CT spine · Sagittal slice 304/512 · image width 140 mm · scan covers 10 annotated vertebrae · a uniform gray block covers part of the image
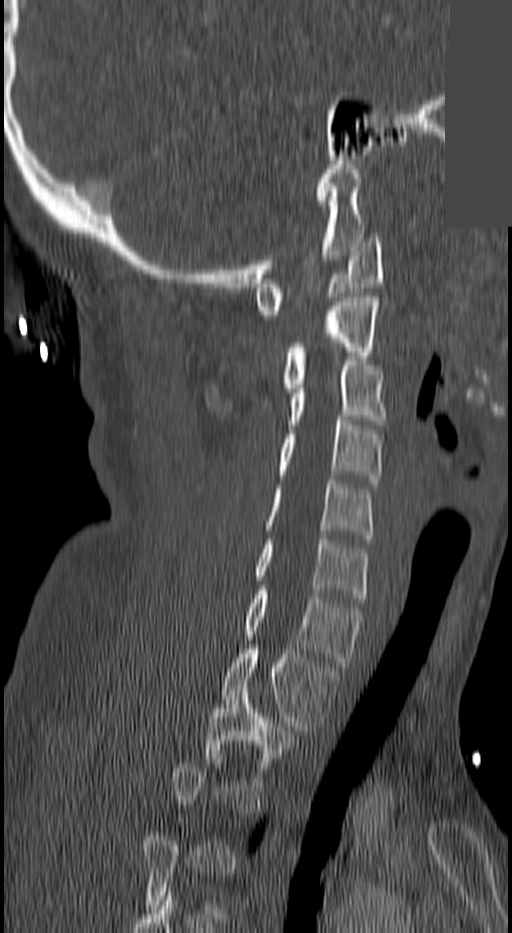 In the table, x1 and y1 are a box's top-left corner and x2 and y2 its bottom-right corner, in pixels.
A vertebra gets a box only on the slices from the first to the last where its cross-section is at least a third of its largest; on a slice outside that range it gets none.
| vertebra | x1 | y1 | x2 | y2 |
|---|---|---|---|---|
| C1 | 254 | 238 | 384 | 319 |
| C2 | 279 | 297 | 377 | 392 |
| C3 | 287 | 361 | 388 | 429 |
| C4 | 279 | 416 | 381 | 484 |
| C5 | 265 | 480 | 373 | 538 |
| C6 | 254 | 539 | 366 | 602 |
| C7 | 246 | 590 | 362 | 666 |
| T1 | 221 | 649 | 337 | 735 |
| T2 | 206 | 690 | 293 | 785 |